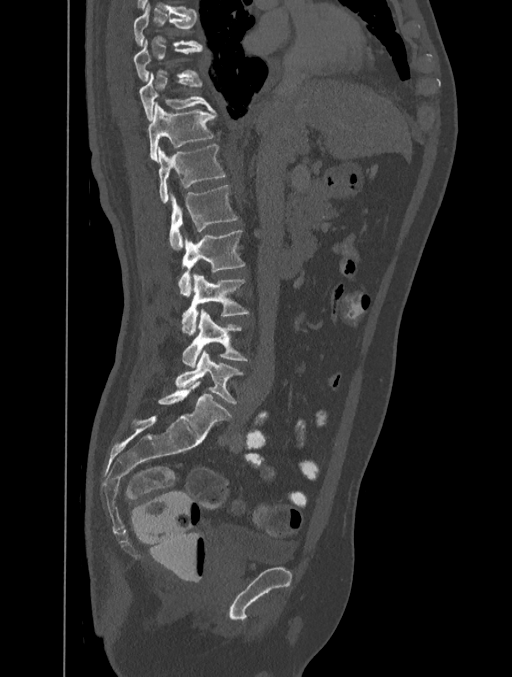

Spine computed tomography. the image is 401 mm wide. sagittal view. bone-window reconstruction. 512x677 px
Boxes: x1:y1:x2:y2 in pixels.
L5: 175:350:243:403
L4: 182:309:248:367
L3: 181:273:249:333
L2: 177:230:245:295
L1: 170:185:238:250
T12: 158:145:225:204
T11: 148:103:216:163
T10: 139:72:214:120
T9: 134:40:203:81
T8: 134:3:202:46